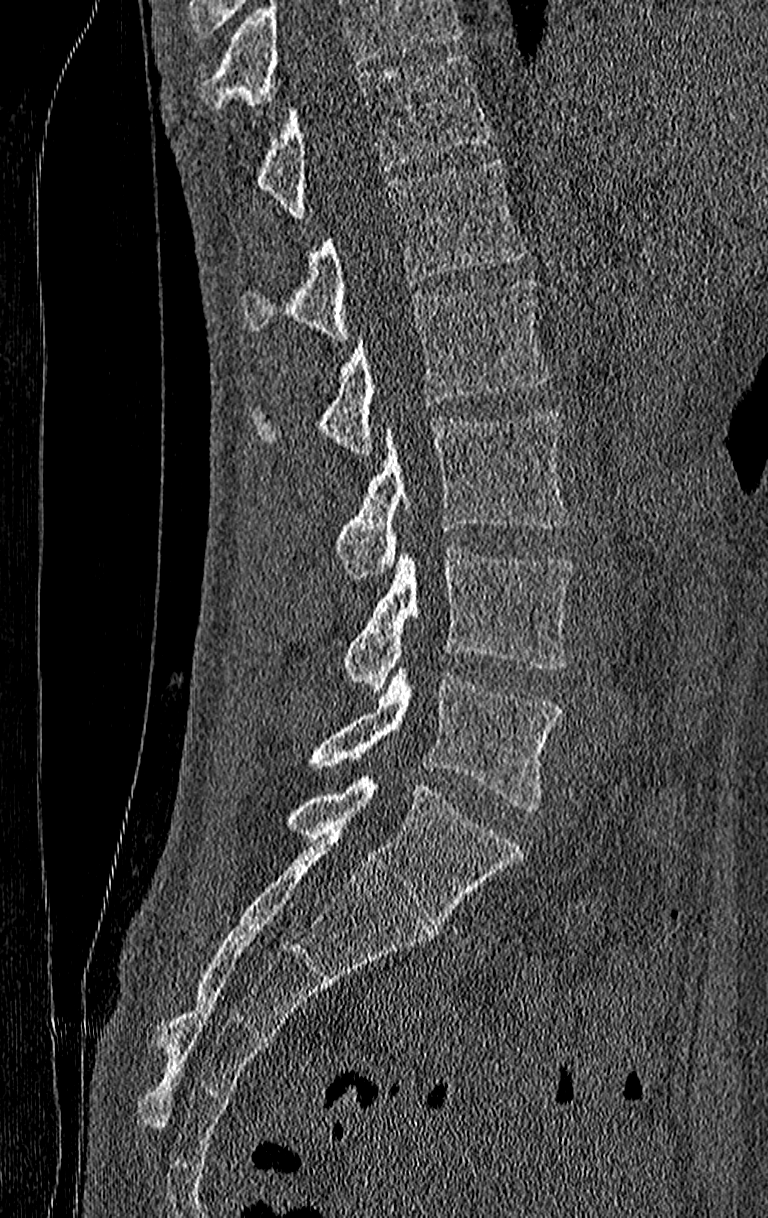

Spine CT. sagittal view. 768x1218 px
Boxes are (x1, y1, x2, y2) in pixels.
Vertebrae that run past the top of the scan are left unlabeled.
Labels in this scan begin with T11 at the top and end with L4 at the bottom.
Vertebra bounding boxes:
- T11: (251, 56, 488, 216)
- T12: (240, 158, 524, 336)
- L1: (247, 278, 550, 453)
- L2: (335, 410, 572, 578)
- L3: (342, 550, 572, 692)
- L4: (306, 668, 561, 812)